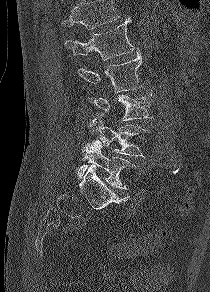 Spine computed tomography · sagittal view · bone-window reconstruction

Bounding boxes as [x1, y1, x2, y2] in pixel coordinates.
Vertebrae that run past the top of the scan are left unlabeled.
L1: [65, 18, 134, 60]
L2: [79, 50, 142, 92]
L3: [90, 91, 152, 120]
L4: [89, 116, 149, 157]
L5: [75, 140, 137, 189]